CT, spine; sagittal plane, index 234; bone-window reconstruction; 593x528 px; scan covers 12 annotated vertebrae
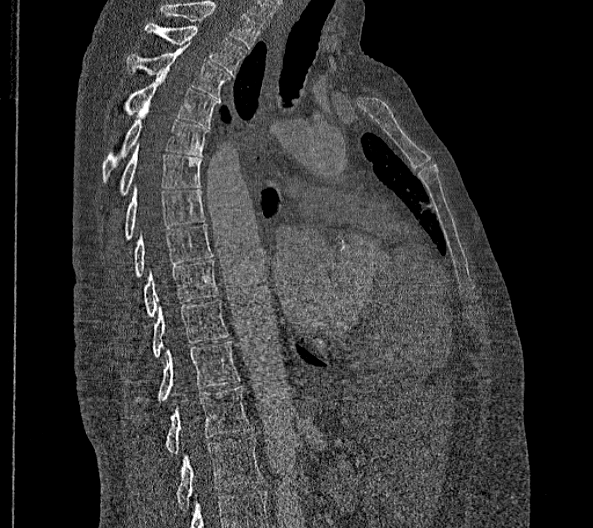

Boxes are given in columns x1, y1, x2, y2, the pixel coordinates of their top-left and bottom-right corners.
Labels in this scan begin with T2 at the top and end with L2 at the bottom.
In these labels the thoracic vertebrae end at T11, so L1 follows T11.
| vertebra | x1 | y1 | x2 | y2 |
|---|---|---|---|---|
| L2 | 176 | 435 | 262 | 510 |
| L1 | 166 | 387 | 250 | 453 |
| T11 | 158 | 341 | 239 | 402 |
| T10 | 153 | 300 | 228 | 357 |
| T9 | 143 | 260 | 217 | 316 |
| T8 | 134 | 223 | 212 | 276 |
| T7 | 125 | 188 | 205 | 239 |
| T6 | 102 | 143 | 201 | 206 |
| T5 | 102 | 105 | 211 | 180 |
| T4 | 124 | 74 | 218 | 126 |
| T3 | 126 | 43 | 230 | 99 |
| T2 | 144 | 23 | 247 | 76 |